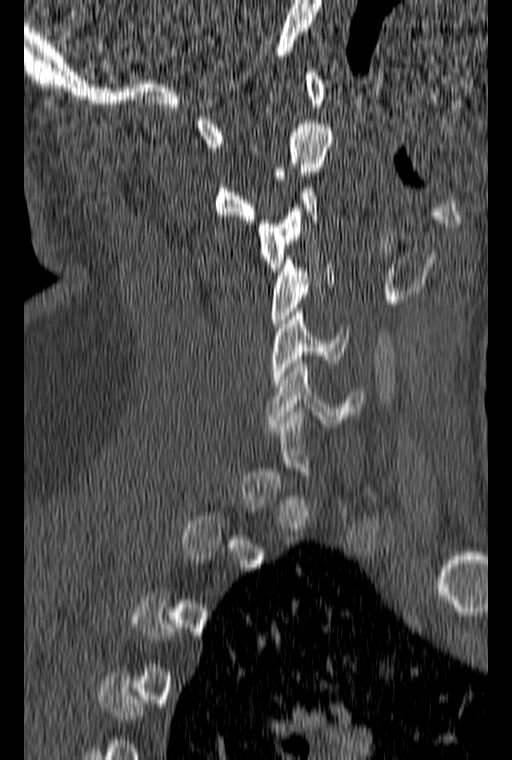 Spine computed tomography — sagittal view — bone window
Boxes: x1:y1:x2:y2 in pixels. A vertebra gets a box only on the slices from the first to the last where its cross-section is at least a third of its largest; on a slice outside that range it gets none. The labeled vertebrae in this slice are: C1 at 196:68:326:147, C2 at 214:124:332:223, C3 at 256:188:318:271, C4 at 271:256:333:327, C5 at 272:308:348:387, C6 at 267:356:362:427.